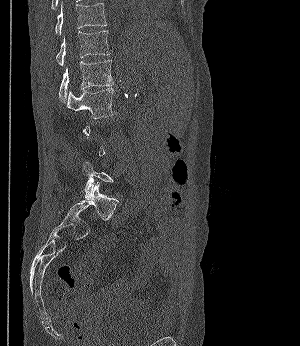

CT — sagittal view — W/L 1800/400 HU — the image is 300 mm wide — 300x346 px
Each row gives a vertebra's box as x1, y1, x2, y2 in pixels: top-left corner, then bottom-right corner.
Not every vertebra on this slice has a box: a vertebra is boxed only from the first to the last slice where its cross-section is at least a third of its largest, and this slice is outside that range for at least one of them.
| vertebra | x1 | y1 | x2 | y2 |
|---|---|---|---|---|
| T11 | 55 | 1 | 106 | 36 |
| T12 | 56 | 30 | 109 | 66 |
| L1 | 59 | 60 | 112 | 101 |
| L2 | 67 | 88 | 117 | 119 |